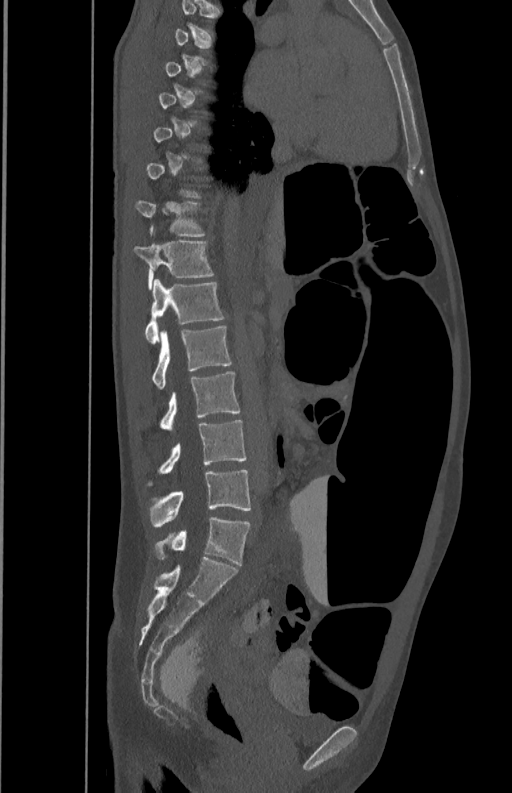 Spine CT — sagittal view — bone-window reconstruction

A vertebra gets a box only on the slices from the first to the last where its cross-section is at least a third of its largest; on a slice outside that range it gets none.
<vertebrae><v name="T11" x1="136" y1="200" x2="204" y2="236"/><v name="T12" x1="134" y1="240" x2="212" y2="289"/><v name="L1" x1="145" y1="279" x2="224" y2="343"/><v name="L2" x1="152" y1="327" x2="231" y2="387"/><v name="L3" x1="161" y1="371" x2="240" y2="431"/><v name="L4" x1="149" y1="420" x2="246" y2="485"/><v name="L5" x1="149" y1="469" x2="250" y2="527"/></vertebrae>